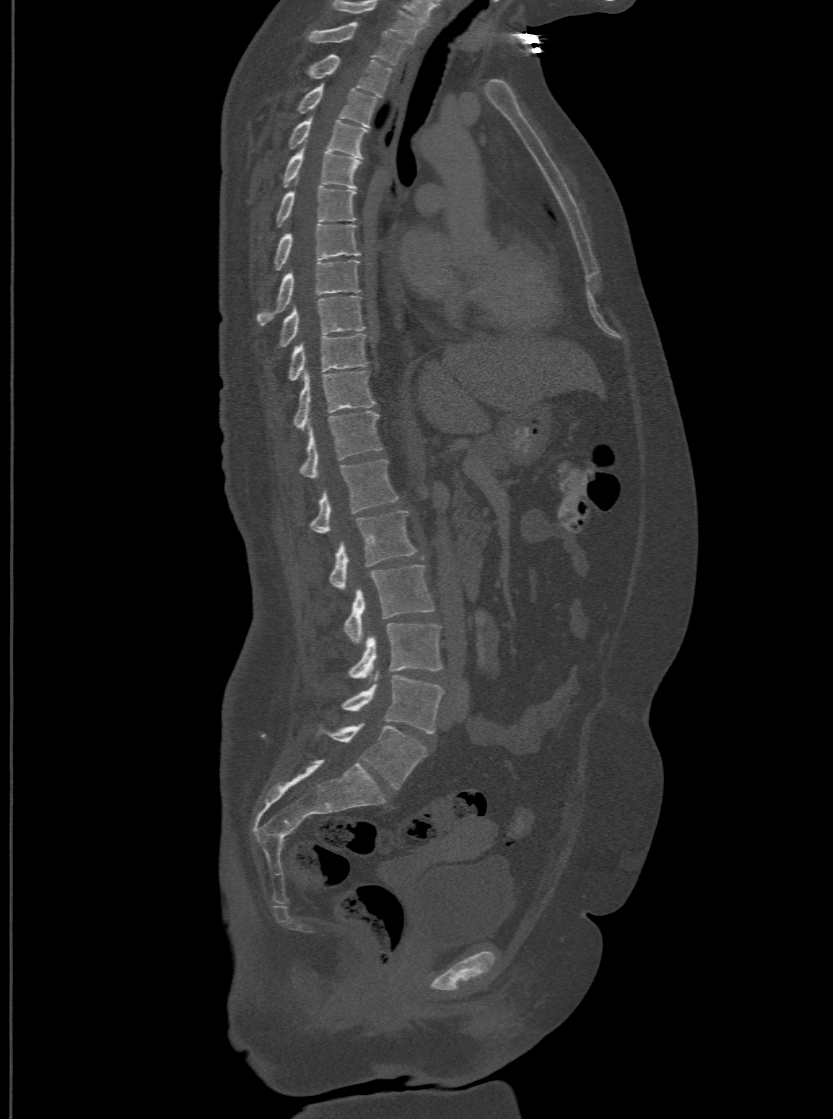

CT — sagittal view
Bounding boxes as [x1, y1, x2, y2] in pixel coordinates.
The highest labeled vertebra in this scan is T1; the lowest is L6.
In these labels the spine has an L6, a sixth lumbar vertebra below L5.
Vertebra bounding boxes:
- T1: [308, 22, 404, 64]
- T2: [304, 53, 391, 96]
- T3: [296, 83, 377, 126]
- T4: [288, 115, 367, 157]
- T5: [282, 148, 360, 187]
- T6: [259, 185, 355, 237]
- T7: [273, 223, 360, 269]
- T8: [257, 258, 359, 324]
- T9: [277, 295, 364, 346]
- T10: [288, 333, 367, 381]
- T11: [293, 370, 373, 429]
- T12: [298, 410, 383, 477]
- L1: [308, 458, 398, 532]
- L2: [329, 510, 416, 588]
- L3: [343, 564, 434, 642]
- L4: [347, 623, 442, 678]
- L5: [342, 676, 443, 733]
- L6: [316, 723, 425, 788]